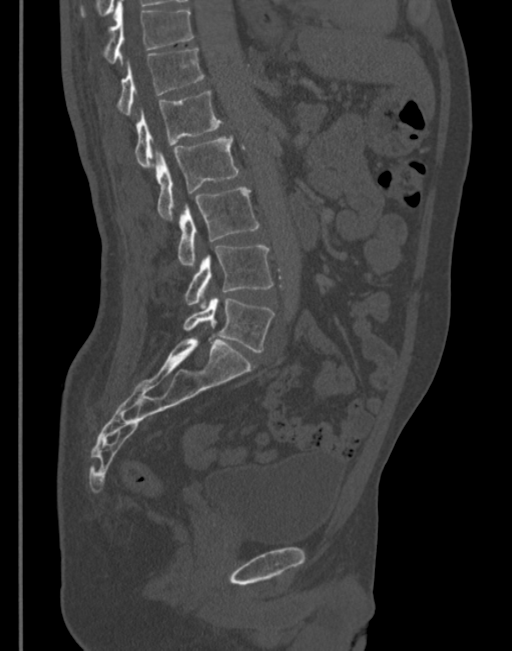 CT; sagittal view; bone window; image width 345 mm; 512x651 px
Each vertebra maps to its box as [x1, y1, x2, y2], the pixel coordinates of its top-left and bottom-right corners.
{"vertebrae":{"T11":[102,2,193,63],"T12":[117,49,204,115],"L1":[135,91,221,168],"L2":[156,135,238,220],"L3":[178,188,258,267],"L4":[184,245,273,309],"L5":[184,298,273,352]}}